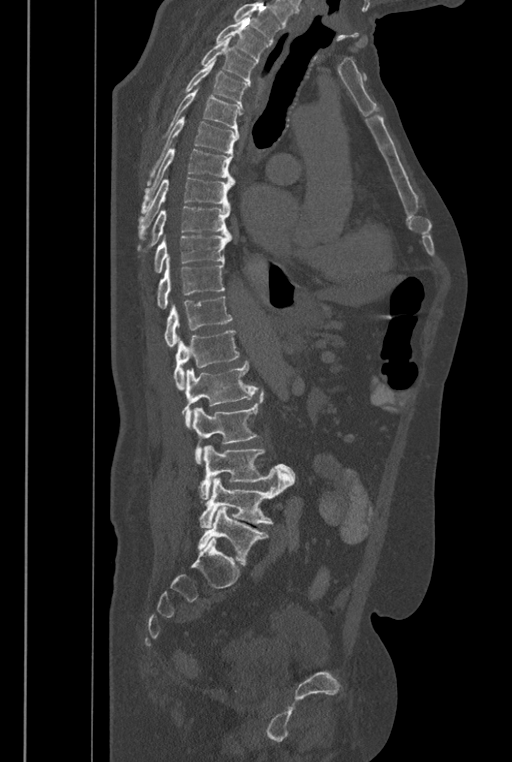 CT — sagittal view — bone window — image width 446 mm. Bounding boxes as [x1, y1, x2, y2] in pixel coordinates.
No box is given to a vertebra that the top edge of the scan cuts off.
These labels give the spine a sixth lumbar vertebra, L6, below L5.
Vertebra bounding boxes:
- T2: [216, 17, 269, 62]
- T3: [201, 37, 257, 86]
- T4: [184, 59, 247, 109]
- T5: [162, 86, 243, 137]
- T6: [146, 117, 239, 185]
- T7: [141, 149, 233, 213]
- T8: [138, 177, 234, 239]
- T9: [139, 205, 231, 248]
- T10: [155, 236, 231, 273]
- T11: [157, 256, 225, 308]
- T12: [164, 297, 232, 347]
- L1: [173, 330, 239, 390]
- L2: [182, 362, 258, 428]
- L3: [192, 390, 264, 463]
- L4: [198, 445, 295, 499]
- L5: [199, 470, 291, 528]
- L6: [198, 506, 268, 564]